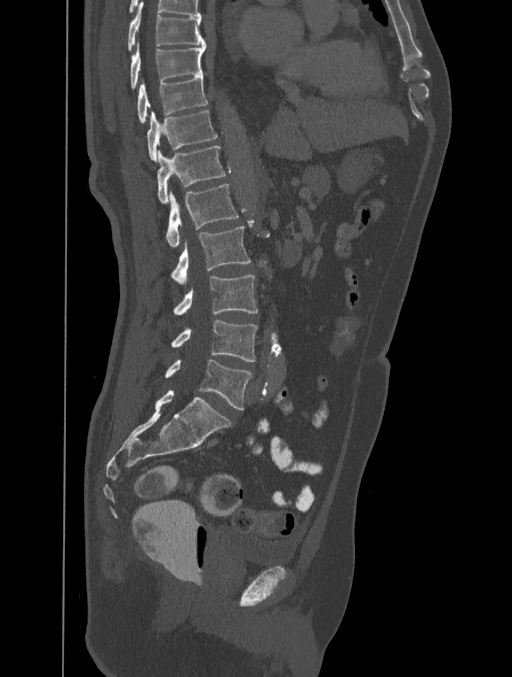

Spine CT; sagittal reformat; W/L 1800/400 HU
Boxes: x1 y1 x2 y2 (pixel coords, space-separated).
Vertebra bounding boxes:
- T8: 128 2 206 51
- T9: 130 43 206 89
- T10: 136 75 207 123
- T11: 147 110 217 161
- T12: 157 146 226 204
- L1: 166 184 239 247
- L2: 171 226 250 284
- L3: 174 275 258 315
- L4: 171 319 257 362
- L5: 165 359 252 409